Spine CT; Sagittal slice 251/512; 576x488 px
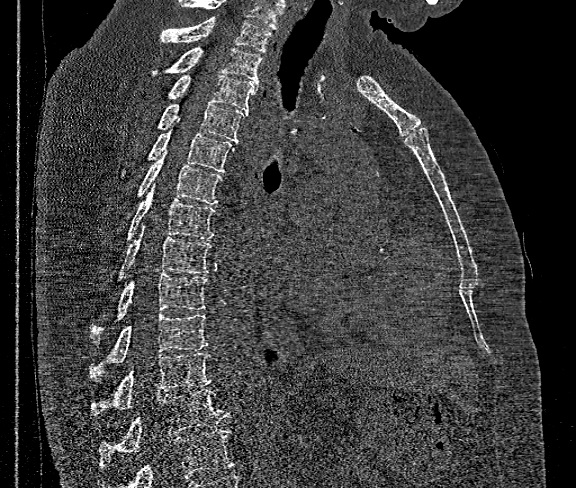 Vertebrae that run past the bottom of the scan are left unlabeled.
The highest labeled vertebra in this scan is T1; the lowest is T12.
<vertebrae><v name="T1" x1="160" y1="18" x2="272" y2="52"/><v name="T2" x1="168" y1="47" x2="262" y2="83"/><v name="T3" x1="170" y1="76" x2="258" y2="111"/><v name="T4" x1="159" y1="103" x2="246" y2="142"/><v name="T5" x1="148" y1="118" x2="234" y2="172"/><v name="T6" x1="139" y1="151" x2="221" y2="204"/><v name="T7" x1="128" y1="184" x2="215" y2="238"/><v name="T8" x1="118" y1="223" x2="212" y2="278"/><v name="T9" x1="92" y1="274" x2="207" y2="335"/><v name="T10" x1="89" y1="312" x2="207" y2="379"/><v name="T11" x1="91" y1="352" x2="212" y2="415"/><v name="T12" x1="99" y1="389" x2="231" y2="467"/></vertebrae>